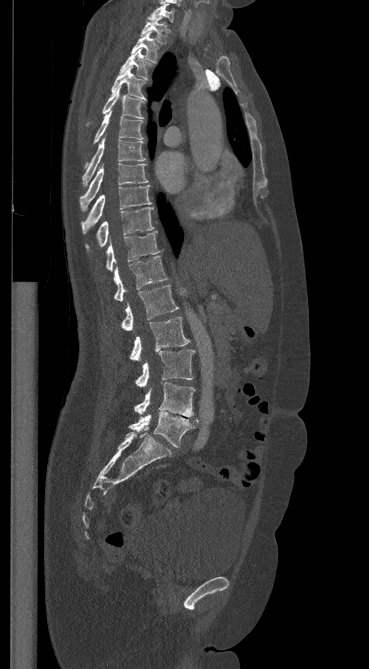
Spine computed tomography · the image is 369 mm wide · sagittal view · bone-window reconstruction · 369x669 px

Box edges are left/top/right/bottom in pixels.
C7: left=148, top=4, right=174, bottom=22
T1: left=141, top=17, right=166, bottom=43
T2: left=131, top=32, right=158, bottom=61
T3: left=120, top=49, right=150, bottom=80
T4: left=111, top=67, right=147, bottom=100
T5: left=102, top=87, right=144, bottom=118
T6: left=93, top=111, right=143, bottom=143
T7: left=82, top=138, right=145, bottom=185
T8: left=79, top=163, right=147, bottom=210
T9: left=81, top=185, right=151, bottom=233
T10: left=86, top=207, right=153, bottom=252
T11: left=106, top=232, right=159, bottom=270
T12: left=114, top=256, right=167, bottom=301
L1: left=121, top=285, right=177, bottom=330
L2: left=129, top=317, right=189, bottom=360
L3: left=135, top=349, right=194, bottom=386
L4: left=134, top=382, right=194, bottom=418
L5: left=128, top=411, right=198, bottom=447